CT — sagittal view — Bone window (WL 400, WW 1800) — scan covers 6 annotated vertebrae
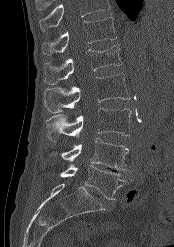 Each box given as x1,y1,x2,y2. Where the top of the scan cuts through a vertebra, that vertebra gets no label or box. The labeled vertebrae in this slice are: T12 at x1=41, y1=17, x2=117, y2=54, L1 at x1=44, y1=44, x2=121, y2=84, L2 at x1=43, y1=73, x2=130, y2=113, L3 at x1=45, y1=108, x2=131, y2=141, L4 at x1=49, y1=138, x2=129, y2=171, L5 at x1=59, y1=165, x2=130, y2=199.